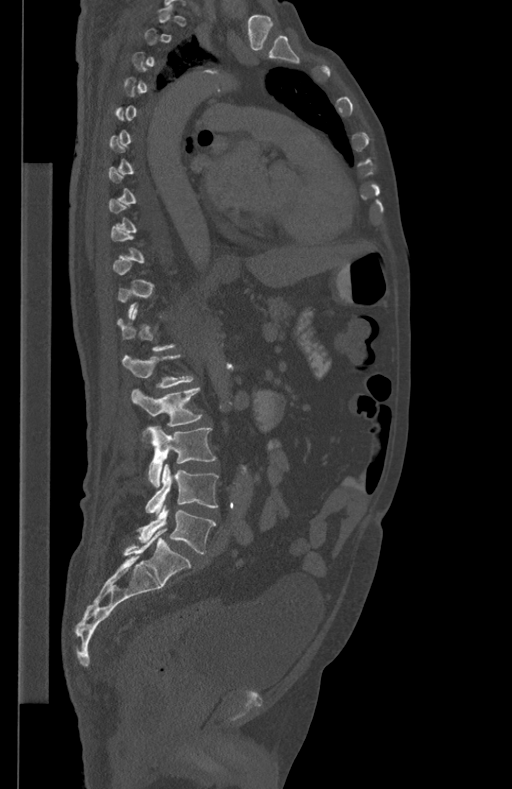 Spine computed tomography · sagittal view · bone-window reconstruction

Bounding boxes as [x1, y1, x2, y2] in pixel coordinates. A vertebra gets a box only on the slices from the first to the last where its cross-section is at least a third of its largest; on a slice outside that range it gets none. The labeled vertebrae in this slice are: L1 at [123, 355, 192, 387], L2 at [131, 388, 202, 426], L3 at [143, 426, 216, 487], L4 at [145, 463, 218, 513], L5 at [138, 504, 216, 553].